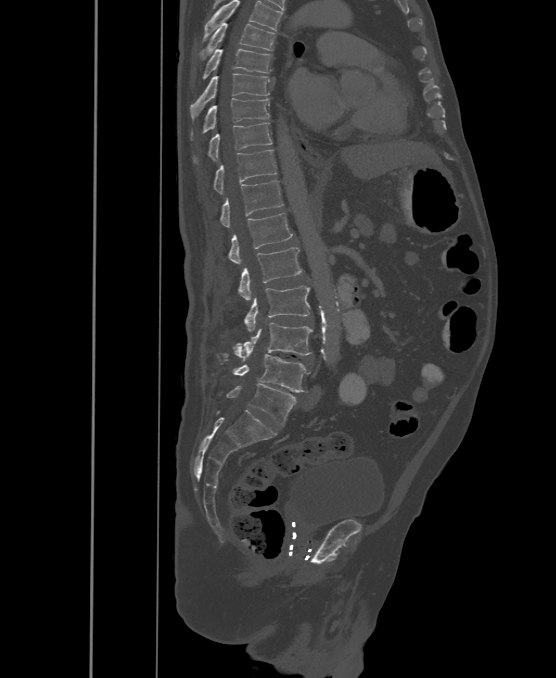 Spine CT · sagittal view · Bone window (WL 400, WW 1800) · 500 mm across the image · 556x678 px. Boxes are (x1, y1, x2, y2) in pixels.
Labels in this scan begin with T6 at the top and end with L6 at the bottom.
These labels give the spine a sixth lumbar vertebra, L6, below L5.
Vertebra bounding boxes:
- T6: (201, 23, 275, 57)
- T7: (202, 48, 271, 79)
- T8: (190, 74, 269, 118)
- T9: (202, 98, 269, 133)
- T10: (207, 123, 271, 159)
- T11: (214, 149, 276, 194)
- T12: (220, 180, 283, 227)
- L1: (229, 213, 292, 264)
- L2: (239, 247, 302, 300)
- L3: (244, 286, 310, 332)
- L4: (232, 323, 313, 358)
- L5: (233, 346, 308, 392)
- L6: (227, 384, 295, 425)